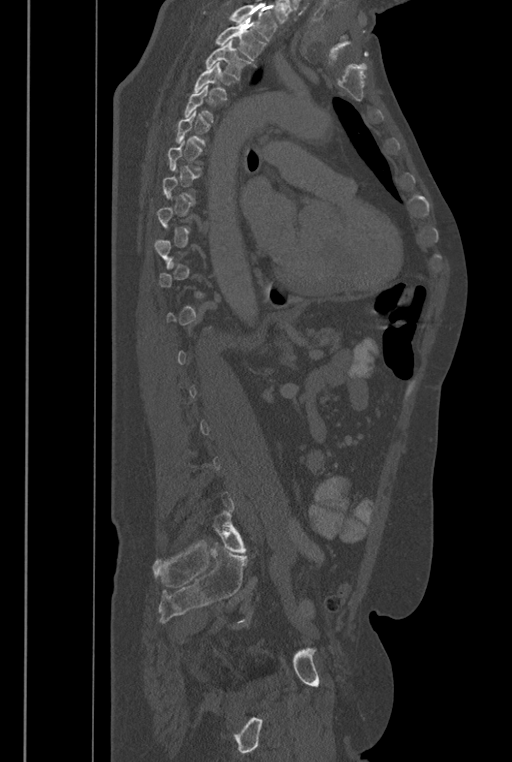

CT spine. sagittal view. 512x762 px

Bounding boxes as [x1, y1, x2, y2] in pixel coordinates.
A vertebra is boxed only from the first to the last slice where its cross-section is at least a third of its largest; slices outside that range leave it without a box.
No box is given to a vertebra that the top edge of the scan cuts off.
These labels give the spine a sixth lumbar vertebra, L6, below L5.
Vertebra bounding boxes:
- T2: [215, 19, 266, 67]
- T3: [205, 40, 250, 80]
- T4: [193, 62, 233, 99]
- L6: [213, 511, 246, 553]